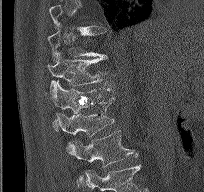

Spine computed tomography; the image spans 204 mm across; sagittal view; Bone window (WL 400, WW 1800)
Boxes below are [x1, y1, x2, y2] in pixels.
Each vertebra is boxed only on the slices from the first to the last where its cross-section reaches a third of its largest, so a slice outside that range leaves it unboxed.
{"vertebrae":{"T10":[48,26,104,62],"T11":[47,53,108,94],"T12":[50,79,113,130],"L1":[56,97,114,154],"L2":[68,130,137,182]}}